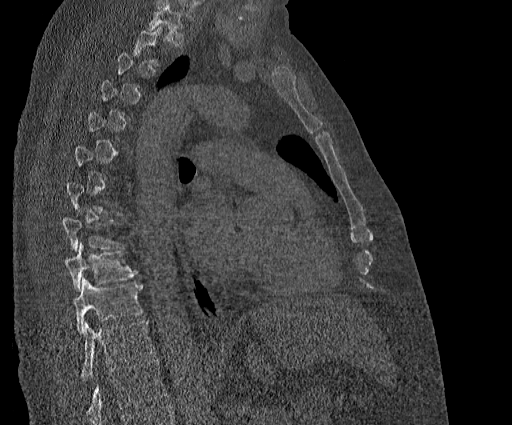

Computed tomography of the spine — sagittal reformat — bone-window reconstruction — 512x425 px
Boxes: x1:y1:x2:y2 in pixels. A vertebra is boxed only from the first to the last slice where its cross-section is at least a third of its largest; slices outside that range leave it without a box. Labels in this scan begin with T2 at the top and end with T11 at the bottom. Vertebrae labeled: T8 at 61:217:121:251, T9 at 64:243:136:290, T10 at 73:279:143:334, T11 at 81:320:155:379.